Computed tomography of the spine. sagittal reformat. 500 mm wide. scan covers 8 annotated vertebrae
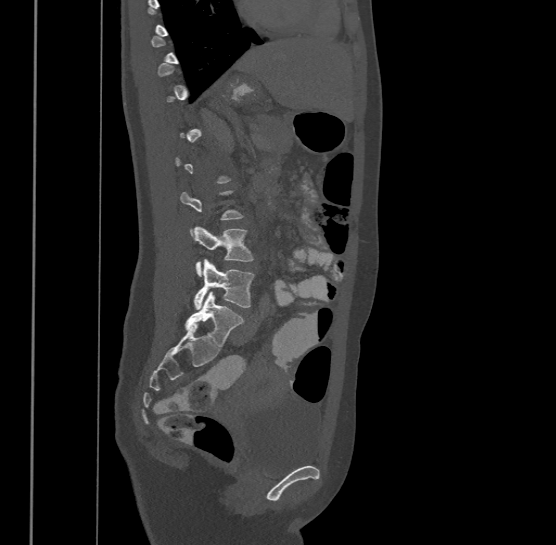
Boxes: x1 y1 x2 y2 (pixel coords, space-separated).
A vertebra is boxed only from the first to the last slice where its cross-section is at least a third of its largest; slices outside that range leave it without a box.
The highest labeled vertebra in this scan is T9; the lowest is L4.
L3: 193 225 253 275
L4: 193 258 255 308